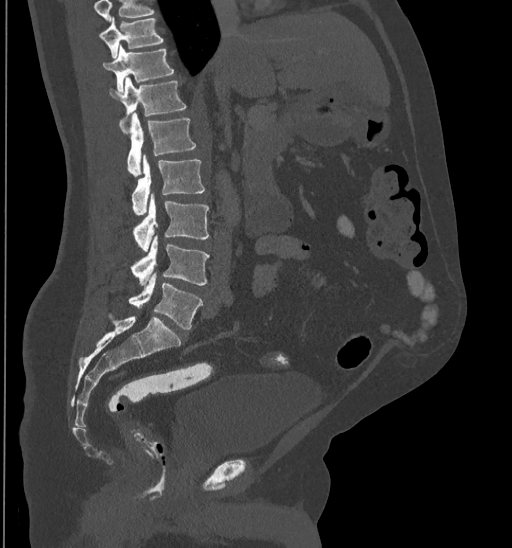
Computed tomography of the spine — sagittal reformat — bone window — 512x548 px
Boxes are (x1, y1, x2, y2) in pixels.
A vertebra cut off by the top edge of the scan is not labeled and has no box.
Vertebra bounding boxes:
- L5: (128, 272, 203, 330)
- L4: (132, 235, 208, 287)
- L3: (133, 194, 208, 251)
- L2: (132, 154, 205, 215)
- L1: (121, 113, 195, 176)
- T12: (109, 76, 186, 132)
- T11: (102, 44, 173, 92)
- T10: (99, 18, 163, 57)